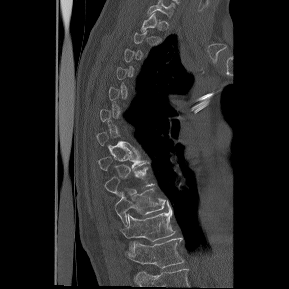
Spine CT. sagittal reformat
Bounding boxes as [x1, y1, x2, y2] in pixel coordinates. Not every vertebra on this slice has a box: a vertebra is boxed only from the first to the last slice where its cross-section is at least a third of its largest, and this slice is outside that range for at least one of them. The highest labeled vertebra in this scan is T1; the lowest is T12. 5 vertebrae labeled — T8 at [98, 151, 149, 170]; T9 at [105, 166, 153, 195]; T10 at [115, 186, 165, 226]; T11 at [122, 201, 176, 246]; T12 at [126, 237, 184, 268].